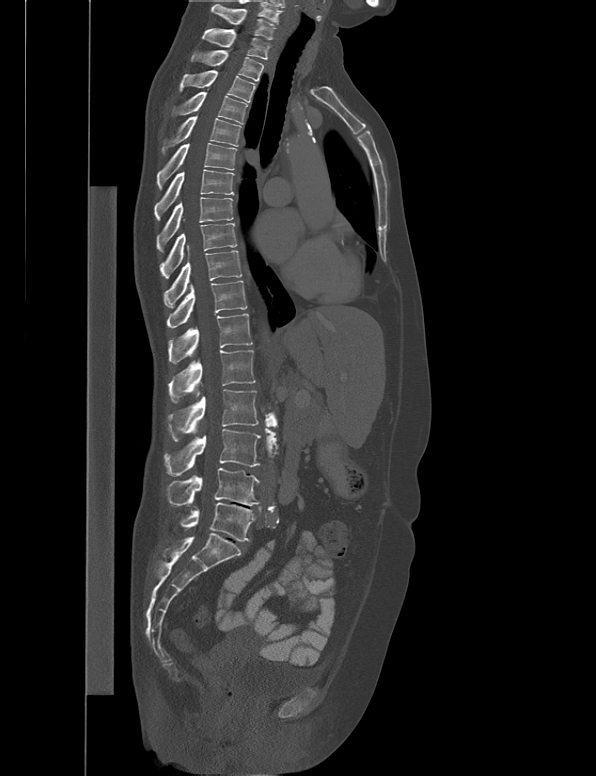 CT, spine · sagittal reformat · bone-window reconstruction · the image is 538 mm wide. Boxes: x1 y1 x2 y2 (pixel coords, space-separated).
C7: 211 4 277 39
T1: 202 28 271 59
T2: 191 50 263 81
T3: 179 69 256 102
T4: 173 92 247 124
T5: 161 115 241 154
T6: 156 143 237 190
T7: 154 169 234 220
T8: 156 197 233 252
T9: 159 219 237 278
T10: 164 245 242 308
T11: 166 280 247 327
T12: 167 313 252 364
L1: 168 350 255 402
L2: 168 390 258 441
L3: 164 429 260 475
L4: 166 468 260 506
L5: 179 502 255 542